Spine computed tomography · sagittal plane, index 227
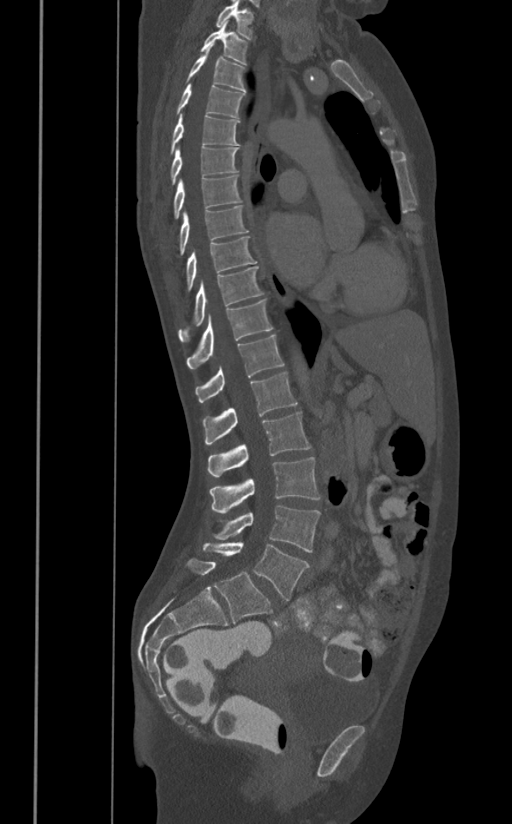

<vertebrae><v name="T1" x1="216" y1="0" x2="253" y2="39"/><v name="T2" x1="200" y1="21" x2="248" y2="65"/><v name="T3" x1="186" y1="44" x2="245" y2="92"/><v name="T4" x1="177" y1="84" x2="244" y2="117"/><v name="T5" x1="170" y1="113" x2="239" y2="152"/><v name="T6" x1="170" y1="147" x2="238" y2="184"/><v name="T7" x1="173" y1="176" x2="242" y2="218"/><v name="T8" x1="178" y1="206" x2="249" y2="255"/><v name="T9" x1="186" y1="236" x2="257" y2="290"/><v name="T10" x1="178" y1="266" x2="263" y2="342"/><v name="T11" x1="186" y1="298" x2="273" y2="368"/><v name="T12" x1="195" y1="334" x2="284" y2="402"/><v name="L1" x1="203" y1="372" x2="297" y2="444"/><v name="L2" x1="207" y1="411" x2="310" y2="477"/><v name="L3" x1="209" y1="457" x2="320" y2="513"/><v name="L4" x1="212" y1="506" x2="320" y2="552"/><v name="L5" x1="202" y1="542" x2="309" y2="600"/></vertebrae>